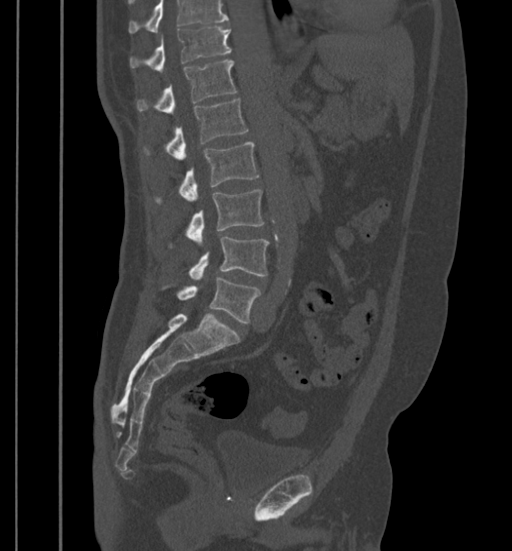 Spine computed tomography · sagittal reformat · bone-window reconstruction · 512x551 px
Coordinates as <box>x1,y1,x2,y2</box>.
Where the top of the scan cuts through a vertebra, that vertebra gets no label or box.
Vertebra bounding boxes:
- L5: <box>177,277,261,323</box>
- L4: <box>188,236,268,279</box>
- L3: <box>186,190,263,243</box>
- L2: <box>155,142,259,202</box>
- L1: <box>144,99,248,159</box>
- T12: <box>137,60,236,113</box>
- T11: <box>129,27,231,72</box>